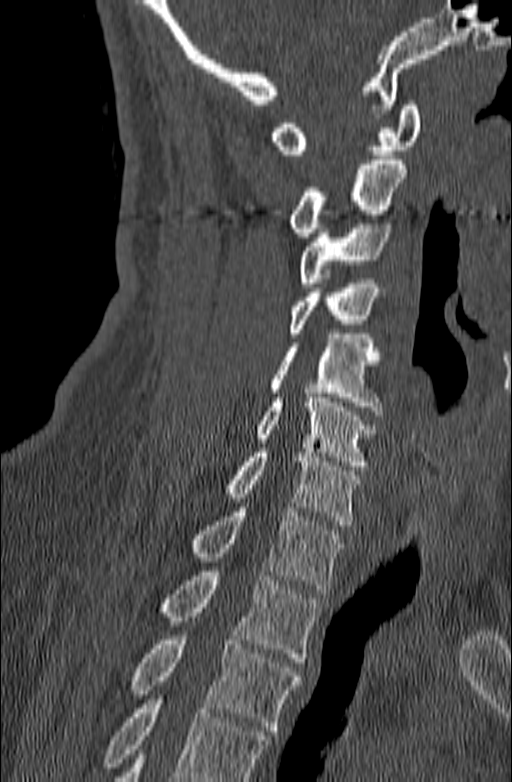 Computed tomography of the spine — sagittal reformat
Vertebrae that run past the bottom of the scan are left unlabeled.
<vertebrae><v name="T3" x1="131" y1="631" x2="301" y2="735"/><v name="T2" x1="162" y1="571" x2="319" y2="662"/><v name="T1" x1="192" y1="507" x2="345" y2="593"/><v name="C7" x1="226" y1="448" x2="359" y2="525"/><v name="C6" x1="257" y1="393" x2="377" y2="470"/><v name="C5" x1="271" y1="334" x2="383" y2="415"/><v name="C4" x1="289" y1="279" x2="378" y2="337"/><v name="C3" x1="298" y1="219" x2="391" y2="287"/><v name="C2" x1="290" y1="160" x2="406" y2="237"/><v name="C1" x1="270" y1="101" x2="421" y2="154"/></vertebrae>